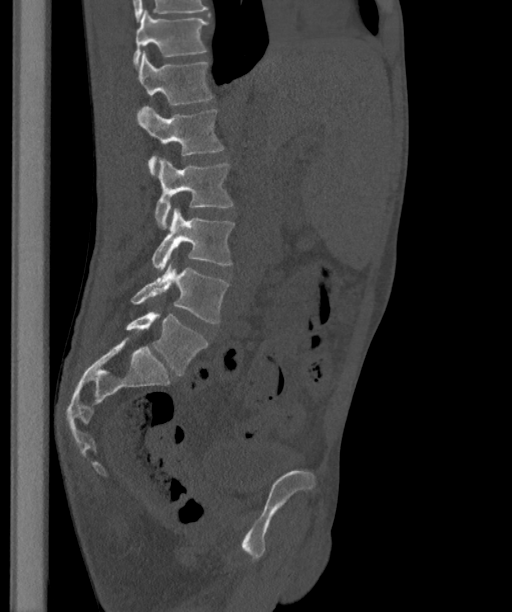 CT spine · sagittal view
Boxes: x1:y1:x2:y2 in pixels.
In these labels the spine has an L6, a sixth lumbar vertebra below L5.
T12: 132:10:208:66
L1: 138:51:213:104
L2: 137:105:224:175
L3: 155:157:233:229
L4: 152:208:234:269
L5: 131:263:229:323
L6: 125:311:208:375